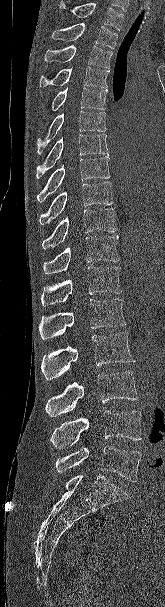
Computed tomography of the spine. sagittal view. 165 mm wide. bone-window reconstruction

Vertebrae that run past the top of the scan are left unlabeled.
<vertebrae><v name="T2" x1="51" y1="23" x2="117" y2="49"/><v name="T3" x1="44" y1="45" x2="112" y2="68"/><v name="T4" x1="40" y1="66" x2="109" y2="87"/><v name="T5" x1="51" y1="87" x2="107" y2="111"/><v name="T6" x1="37" y1="110" x2="106" y2="154"/><v name="T7" x1="36" y1="134" x2="108" y2="178"/><v name="T8" x1="37" y1="155" x2="110" y2="202"/><v name="T9" x1="39" y1="181" x2="113" y2="225"/><v name="T10" x1="42" y1="208" x2="117" y2="249"/><v name="T11" x1="43" y1="235" x2="119" y2="274"/><v name="T12" x1="41" y1="266" x2="121" y2="306"/><v name="L1" x1="39" y1="299" x2="126" y2="339"/><v name="L2" x1="41" y1="332" x2="135" y2="380"/><v name="L3" x1="45" y1="371" x2="138" y2="416"/><v name="L4" x1="50" y1="411" x2="141" y2="448"/><v name="L5" x1="55" y1="446" x2="141" y2="481"/></vertebrae>